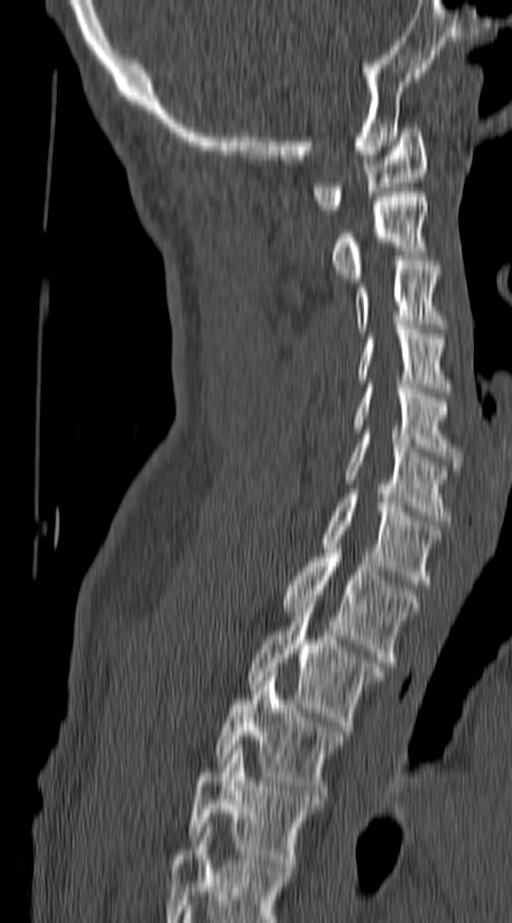
Computed tomography of the spine; sagittal view; W/L 1800/400 HU; 512x923 px
Boxes: x1:y1:x2:y2 in pixels.
In this scan, the topmost labeled vertebra is C1 and the lowest is T4.
Vertebra bounding boxes:
- C1: 312:128:428:214
- C2: 330:192:428:282
- C3: 355:261:443:333
- C4: 356:329:450:392
- C5: 352:384:461:465
- C6: 345:434:450:525
- C7: 320:494:439:584
- T1: 283:549:421:666
- T2: 250:603:384:730
- T3: 217:672:344:799
- T4: 188:745:319:872